CT spine. sagittal reformat
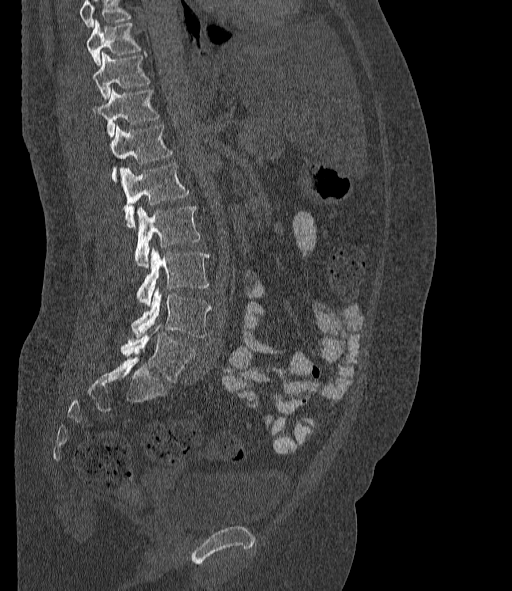 Box values are [left, top, right, bottom] in pixels.
A vertebra cut off by the top edge of the scan is not labeled and has no box.
These labels give the spine a sixth lumbar vertebra, L6, below L5.
{"vertebrae":{"T10":[87,20,140,66],"T11":[92,52,150,99],"T12":[94,90,159,136],"L1":[110,125,171,180],"L2":[119,163,189,227],"L3":[134,206,200,267],"L4":[137,249,208,306],"L5":[132,288,211,337],"L6":[121,325,196,382]}}